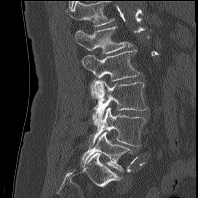 Computed tomography of the spine. sagittal view
Bounding boxes as [x1, y1, x2, y2] in pixel coordinates. In this scan, the topmost labeled vertebra is L1 and the lowest is L5. 5 vertebrae labeled — L5 at [81, 132, 131, 170]; L4 at [89, 107, 146, 146]; L3 at [92, 80, 147, 126]; L2 at [81, 49, 140, 97]; L1 at [74, 26, 132, 53].